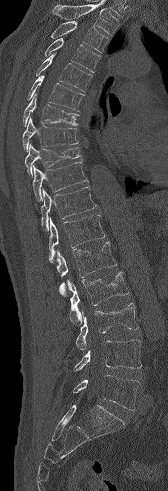

CT, spine; sagittal view; 168x491 px
Boxes: x1:y1:x2:y2 in pixels.
Vertebrae that run past the top of the scan are left unlabeled.
L5: 73:375:139:410
L4: 74:339:141:371
L3: 76:303:138:350
L2: 67:271:128:324
L1: 56:241:116:296
T12: 48:215:105:262
T11: 40:187:96:230
T10: 32:162:88:201
T9: 25:144:80:177
T8: 22:117:78:151
T7: 23:94:78:126
T6: 27:75:84:111
T5: 35:53:92:91
T4: 44:38:100:72
T3: 50:21:109:53